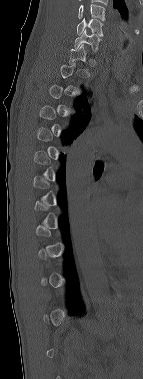
CT; sagittal view; 143x379 px

Boxes are given in columns x1, y1, x2, y2, the pixel coordinates of their top-left and bottom-right corners.
A vertebra is boxed only from the first to the last slice where its cross-section is at least a third of its largest; slices outside that range leave it without a box.
Labels in this scan begin with C6 at the top and end with T12 at the bottom.
| vertebra | x1 | y1 | x2 | y2 |
|---|---|---|---|---|
| C6 | 77 | 18 | 103 | 36 |
| C7 | 74 | 29 | 100 | 51 |